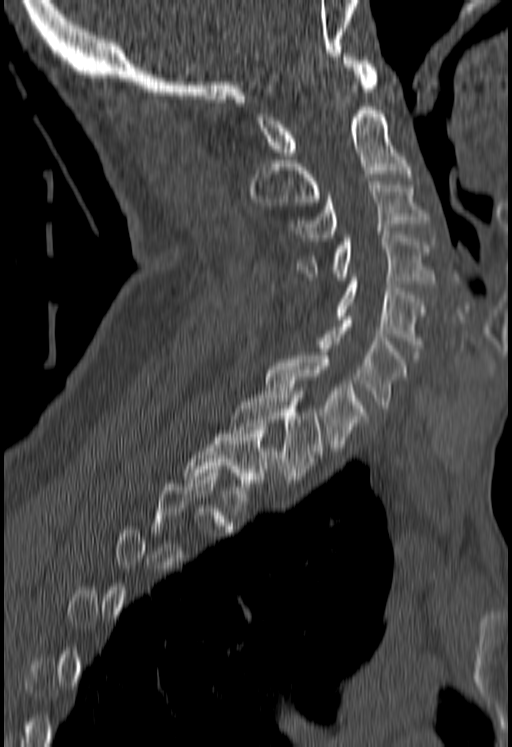

CT spine · sagittal view · 512x747 px
Each row gives a vertebra's box as x1, y1, x2, y2 in pixels: top-left corner, then bottom-right corner.
Not every vertebra on this slice has a box: a vertebra is boxed only from the first to the last slice where its cross-section is at least a third of its largest, and this slice is outside that range for at least one of them.
| vertebra | x1 | y1 | x2 | y2 |
|---|---|---|---|---|
| T2 | 184 | 427 | 270 | 504 |
| T1 | 230 | 388 | 320 | 479 |
| C7 | 265 | 356 | 365 | 451 |
| C6 | 317 | 316 | 407 | 411 |
| C5 | 337 | 277 | 424 | 355 |
| C4 | 298 | 235 | 435 | 283 |
| C3 | 291 | 181 | 429 | 241 |
| C2 | 248 | 85 | 410 | 205 |
| C1 | 254 | 53 | 378 | 159 |